Spine CT — sagittal view
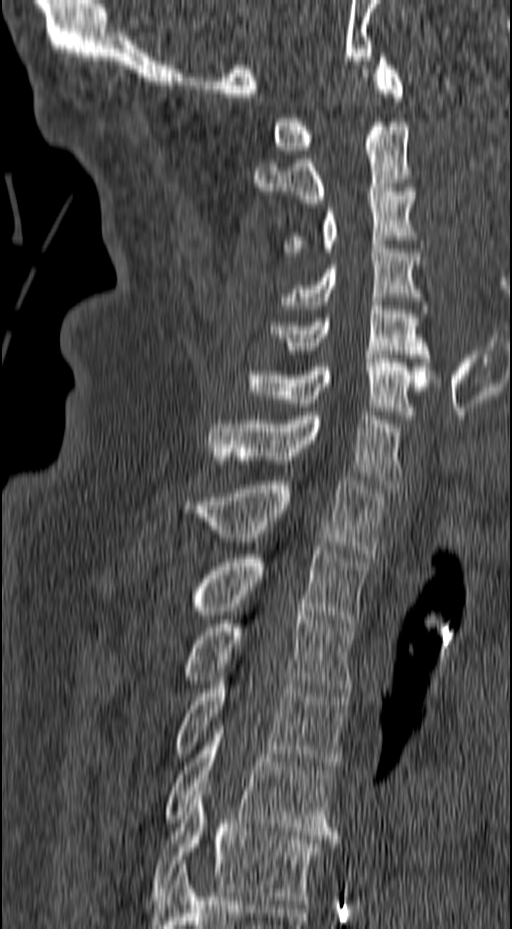 Boxes below are [x1, y1, x2, y2] in pixels.
{"vertebrae":{"T6":[151,787,333,904],"T5":[164,726,337,839],"T4":[175,673,349,769],"T3":[184,611,356,696],"T2":[197,546,369,627],"T1":[183,477,388,557],"C7":[210,412,401,488],"C6":[246,355,440,419],"C5":[269,302,438,374],"C4":[279,241,428,317],"C3":[282,188,423,256],"C2":[253,122,411,203],"C1":[272,53,404,154]}}